CT, spine; sagittal view; W/L 1800/400 HU
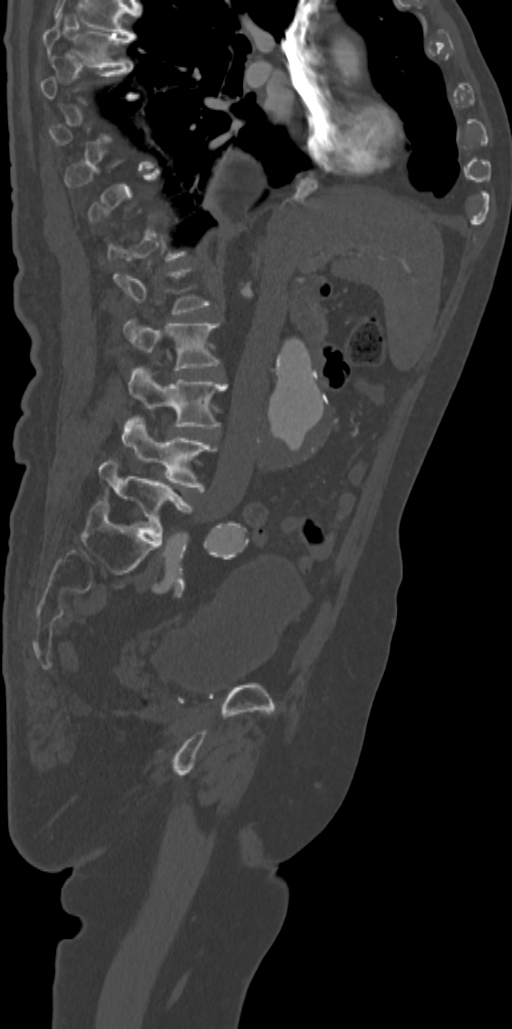 Boxes are given in columns x1, y1, x2, y2, the pixel coordinates of their top-left and bottom-right corners.
A vertebra is boxed only from the first to the last slice where its cross-section is at least a third of its largest; slices outside that range leave it without a box.
| vertebra | x1 | y1 | x2 | y2 |
|---|---|---|---|---|
| L5 | 99 | 458 | 192 | 538 |
| L4 | 121 | 416 | 214 | 491 |
| L3 | 129 | 366 | 226 | 428 |
| L2 | 124 | 319 | 219 | 370 |
| T7 | 42 | 11 | 135 | 66 |